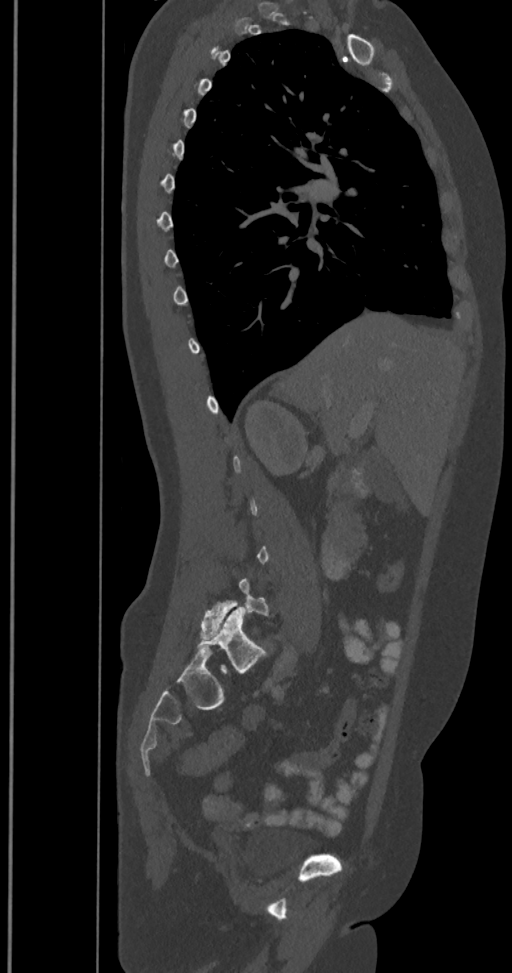 CT, spine. sagittal reformat. Bone window (WL 400, WW 1800). Boxes: x1:y1:x2:y2 in pixels.
Not every vertebra on this slice has a box: a vertebra is boxed only from the first to the last slice where its cross-section is at least a third of its largest, and this slice is outside that range for at least one of them.
These labels give the spine a sixth lumbar vertebra, L6, below L5.
L6: 199:607:264:672
L5: 200:579:268:638